Spine CT. Sagittal slice 11/68. 216 mm image width
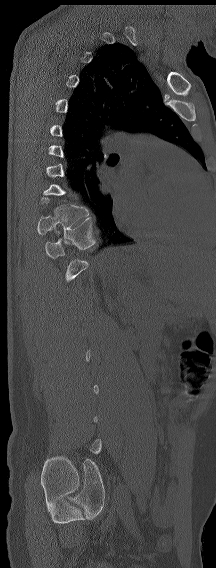

A vertebra is boxed only from the first to the last slice where its cross-section is at least a third of its largest; slices outside that range leave it without a box.
<vertebrae><v name="T11" x1="45" y1="216" x2="96" y2="258"/><v name="T10" x1="37" y1="205" x2="88" y2="236"/></vertebrae>